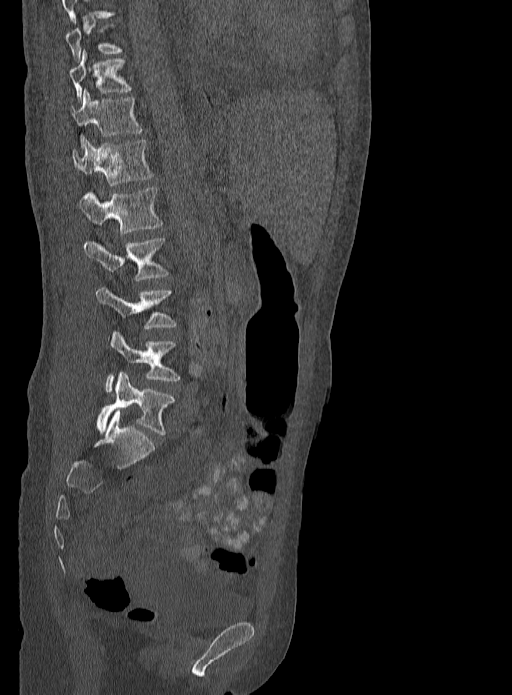 Spine CT — sagittal reformat — bone window — 333 mm image width — 512x695 px

A vertebra is boxed only from the first to the last slice where its cross-section is at least a third of its largest; slices outside that range leave it without a box.
<vertebrae><v name="T10" x1="69" y1="49" x2="131" y2="100"/><v name="T11" x1="70" y1="89" x2="142" y2="145"/><v name="T12" x1="72" y1="138" x2="152" y2="185"/><v name="L1" x1="80" y1="186" x2="162" y2="234"/><v name="L2" x1="83" y1="237" x2="168" y2="280"/><v name="L3" x1="97" y1="286" x2="176" y2="328"/><v name="L4" x1="105" y1="331" x2="180" y2="391"/><v name="L5" x1="97" y1="372" x2="174" y2="434"/></vertebrae>